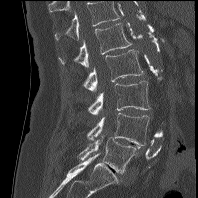 CT — sagittal view — 198x198 px

Each vertebra maps to its box as [x1, y1, x2, y2], the pixel coordinates of its top-left and bottom-right corners.
This scan's labels start at L1 at the top and end at L5 at the bottom.
{"vertebrae":{"L1":[59,23,132,69],"L2":[83,49,143,91],"L3":[88,81,150,115],"L4":[87,113,149,145],"L5":[79,137,136,173]}}